Spine computed tomography; sagittal reformat; bone-window reconstruction; 11 vertebrae labeled in this scan
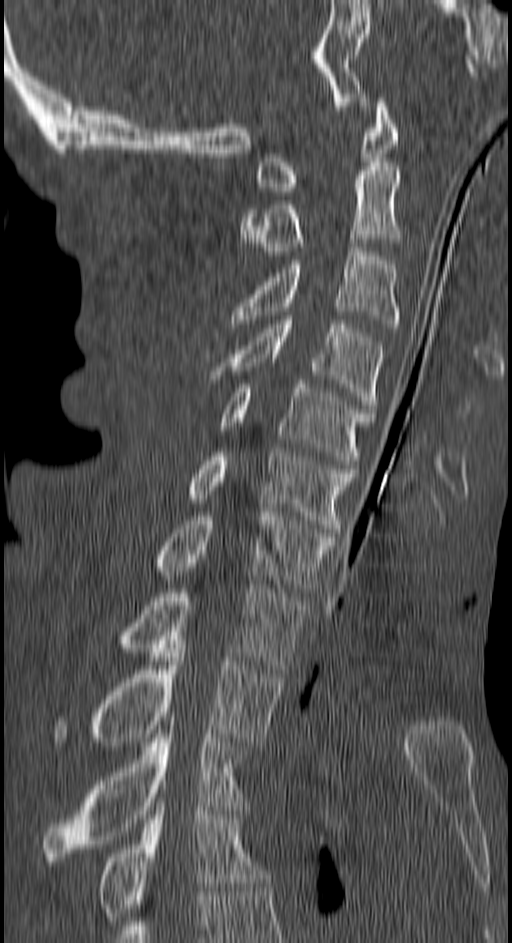 Boxes are (x1, y1, x2, y2) in pixels. Vertebrae labeled: C1 at (255, 98, 396, 195), C2 at (240, 166, 400, 259), C3 at (232, 247, 400, 328), C4 at (209, 316, 383, 413), C5 at (220, 384, 374, 468), C6 at (186, 448, 355, 532), C7 at (151, 512, 335, 592), T1 at (117, 585, 305, 673), T2 at (52, 644, 284, 746), T3 at (42, 721, 246, 865), T4 at (97, 802, 266, 921).